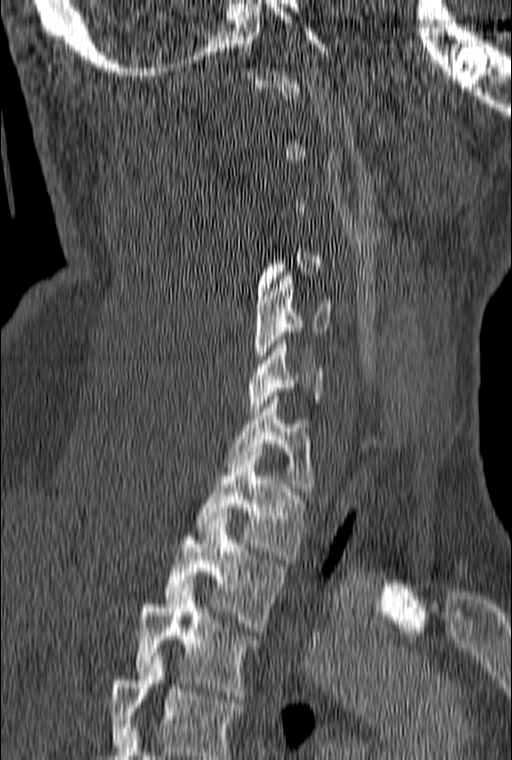 Computed tomography of the spine. sagittal reformat. 512x760 px. Bounding boxes as [x1, y1, x2, y2] in pixel coordinates. Each vertebra is boxed only on the slices from the first to the last where its cross-section reaches a third of its largest, so a slice outside that range leaves it unboxed. Labels in this scan begin with C1 at the top and end with T3 at the bottom. 6 vertebrae labeled — C5 at [254, 272, 332, 367]; C6 at [248, 336, 323, 411]; C7 at [227, 396, 312, 491]; T1 at [195, 448, 306, 559]; T2 at [164, 520, 282, 631]; T3 at [136, 588, 256, 699].